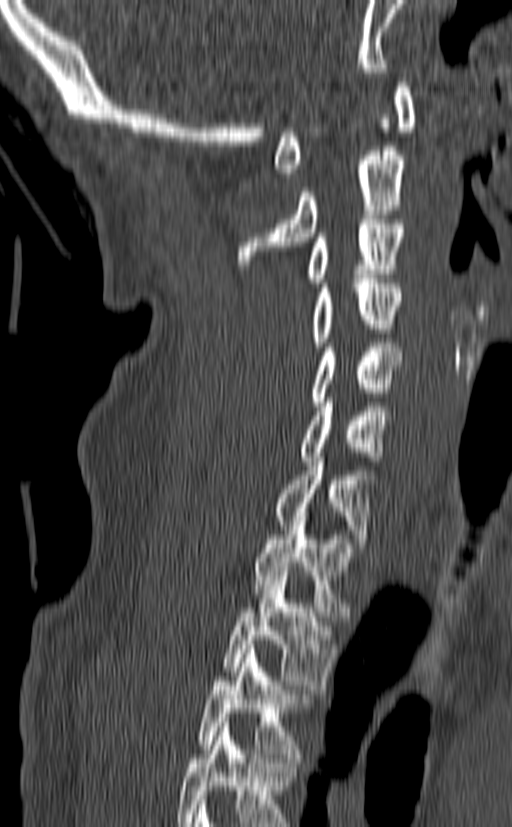
Computed tomography of the spine; sagittal view; 512x827 px; the image is 140 mm wide. Coordinates as <box>x1,y1,x2,y2</box>.
In this scan, the topmost labeled vertebra is C1 and the lowest is T3.
Vertebra bounding boxes:
- C1: <box>274,78,416,177</box>
- C2: <box>237,146,406,269</box>
- C3: <box>309,219,403,287</box>
- C4: <box>312,279,402,346</box>
- C5: <box>310,343,403,406</box>
- C6: <box>300,398,390,461</box>
- C7: <box>276,457,374,548</box>
- T1: <box>254,517,358,616</box>
- T2: <box>223,571,335,689</box>
- T3: <box>199,645,310,762</box>